CT, spine; image 421 mm wide; sagittal reformat; 702x1284 px
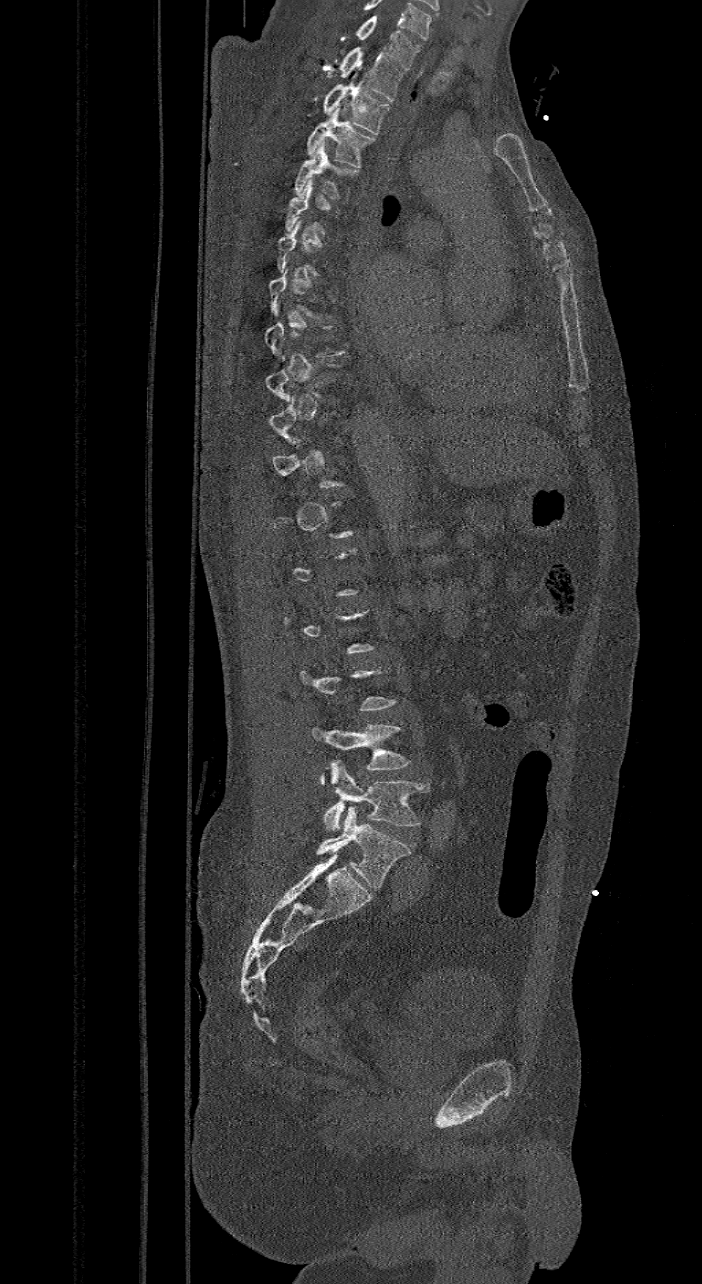 Each box given as x1,y1,x2,y2.
Each vertebra is boxed only on the slices from the first to the last where its cross-section reaches a third of its largest, so a slice outside that range leaves it unboxed.
The labels name a sixth lumbar vertebra for this spine: L6, after L5.
| vertebra | x1 | y1 | x2 | y2 |
|---|---|---|---|---|
| L6 | 317 | 806 | 410 | 888 |
| L5 | 323 | 761 | 429 | 830 |
| L4 | 311 | 724 | 410 | 784 |
| T4 | 295 | 142 | 358 | 198 |
| T3 | 307 | 106 | 375 | 168 |
| T2 | 323 | 82 | 388 | 134 |
| T1 | 338 | 47 | 402 | 101 |
| C7 | 355 | 16 | 422 | 69 |